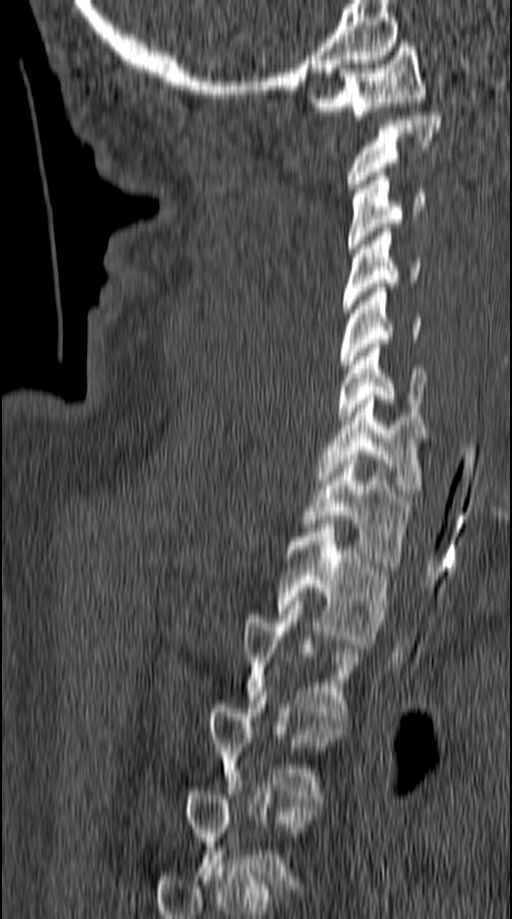 CT spine; sagittal view; bone-window reconstruction
Each row gives a vertebra's box as x1, y1, x2, y2 in pixels: top-left corner, then bottom-right corner.
Not every vertebra on this slice has a box: a vertebra is boxed only from the first to the last slice where its cross-section is at least a third of its largest, and this slice is outside that range for at least one of them.
| vertebra | x1 | y1 | x2 | y2 |
|---|---|---|---|---|
| T4 | 207 | 692 | 344 | 798 |
| T3 | 243 | 601 | 363 | 721 |
| T2 | 276 | 524 | 389 | 643 |
| T1 | 301 | 455 | 410 | 566 |
| C7 | 317 | 395 | 426 | 497 |
| C6 | 338 | 344 | 426 | 420 |
| C5 | 340 | 283 | 422 | 368 |
| C4 | 341 | 228 | 421 | 313 |
| C3 | 348 | 172 | 425 | 252 |
| C2 | 348 | 112 | 440 | 192 |
| C1 | 309 | 43 | 426 | 119 |